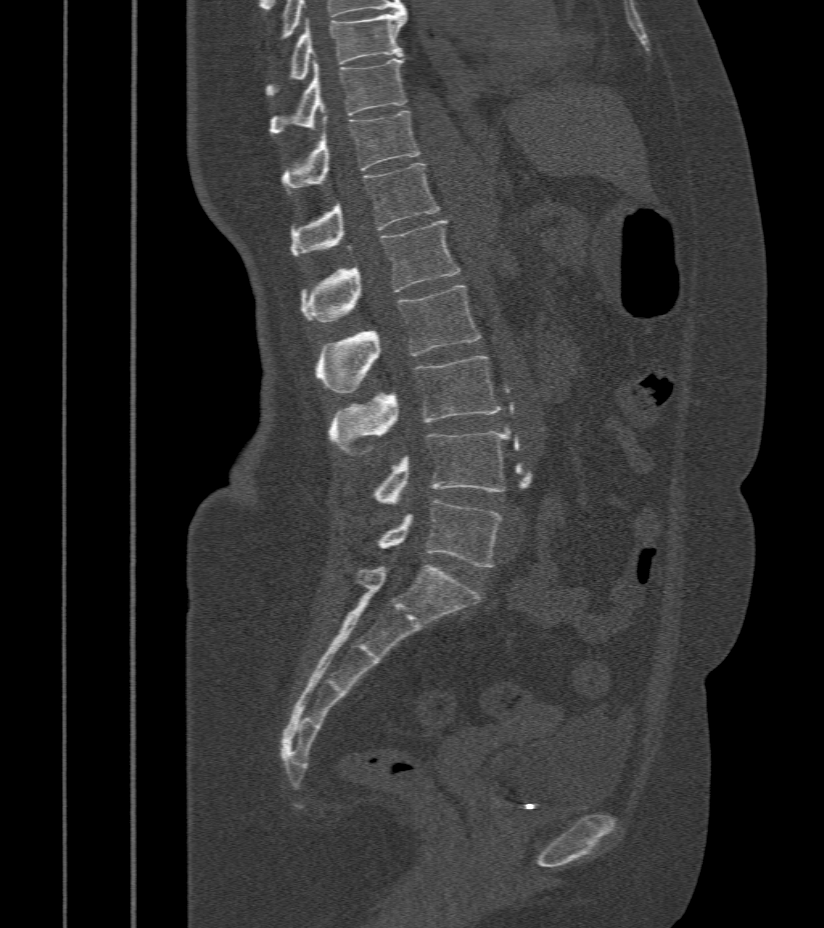 Spine CT; sagittal view; bone window; 824x928 px
<vertebrae><v name="L5" x1="378" y1="501" x2="501" y2="568"/><v name="L4" x1="373" y1="431" x2="509" y2="506"/><v name="L3" x1="328" y1="357" x2="501" y2="452"/><v name="L2" x1="315" y1="285" x2="480" y2="394"/><v name="L1" x1="303" y1="221" x2="461" y2="322"/><v name="T12" x1="290" y1="163" x2="438" y2="256"/><v name="T11" x1="282" y1="111" x2="421" y2="192"/><v name="T10" x1="270" y1="59" x2="406" y2="134"/><v name="T9" x1="266" y1="9" x2="406" y2="96"/></vertebrae>